Computed tomography of the spine — sagittal reformat — W/L 1800/400 HU — 526x1214 px — scan covers 24 annotated vertebrae — a region is masked with a constant gray value
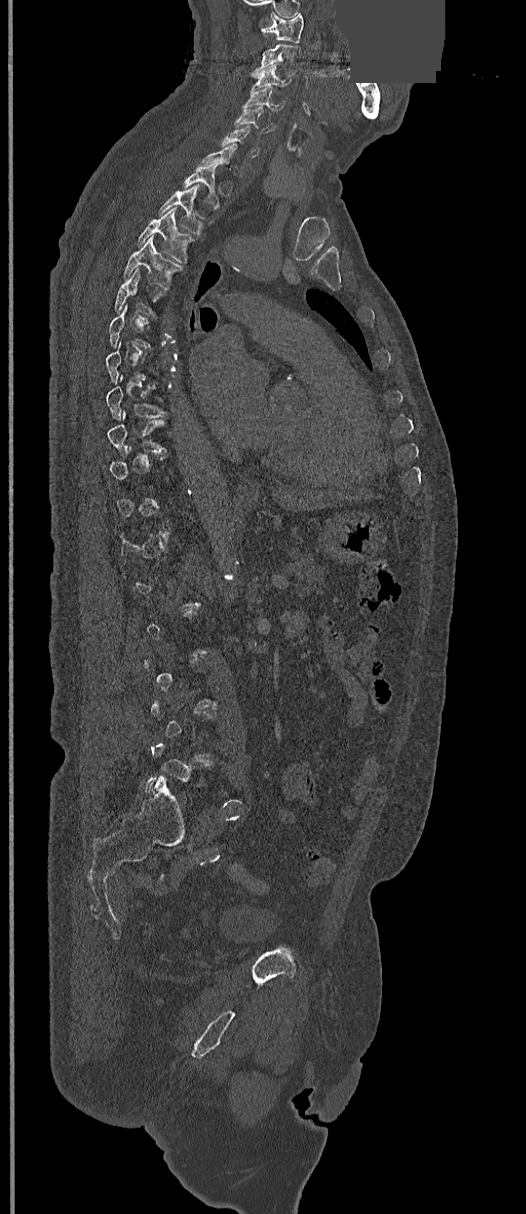 Boxes are (x1, y1, x2, y2) in pixels.
Not every vertebra on this slice has a box: a vertebra is boxed only from the first to the last slice where its cross-section is at least a third of its largest, and this slice is outside that range for at least one of them.
Vertebra bounding boxes:
- T9: (107, 411, 166, 453)
- T8: (106, 376, 164, 419)
- T4: (123, 237, 179, 288)
- T3: (137, 208, 194, 263)
- T2: (158, 184, 203, 235)
- T1: (183, 164, 221, 209)
- C6: (221, 126, 261, 156)
- C5: (235, 106, 275, 133)
- C4: (244, 87, 283, 110)
- C3: (252, 64, 292, 88)
- C2: (252, 44, 299, 76)
- C1: (261, 13, 303, 42)